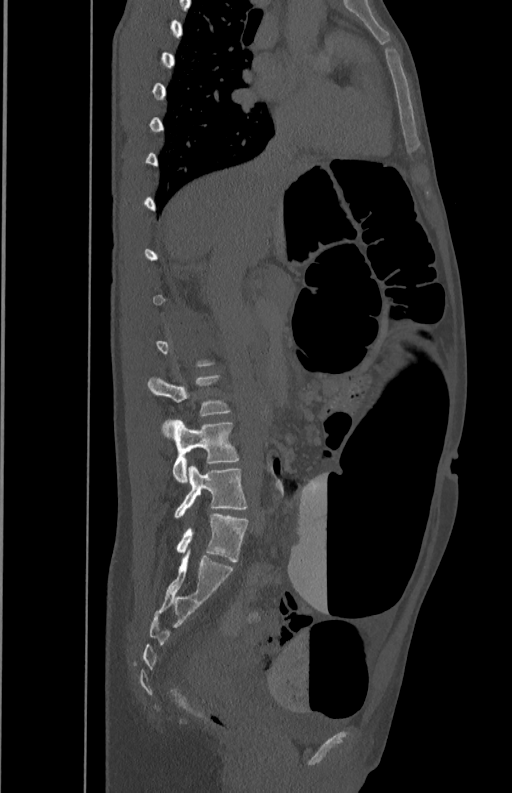 Computed tomography of the spine — sagittal view — the image spans 350 mm across. Box edges are left/top/right/bottom in pixels.
Each vertebra is boxed only on the slices from the first to the last where its cross-section reaches a third of its largest, so a slice outside that range leaves it unboxed.
L3: left=148, top=375, right=228, bottom=415
L4: left=162, top=419, right=239, bottom=483
L5: left=175, top=465, right=247, bottom=518